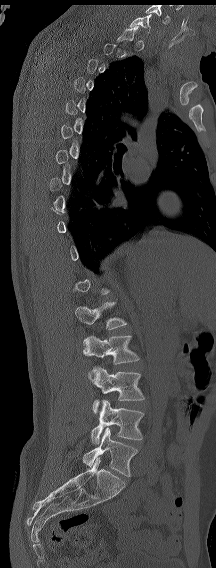
Computed tomography of the spine · sagittal view · Bone window (WL 400, WW 1800) · 216x568 px
Box edges are left/top/right/bottom in pixels.
A vertebra is boxed only from the first to the last slice where its cross-section is at least a third of its largest; slices outside that range leave it without a box.
In this scan, the topmost labeled vertebra is C7 and the lowest is L6.
In these labels the spine has an L6, a sixth lumbar vertebra below L5.
Vertebra bounding boxes:
- L6: left=83, top=427, right=137, bottom=476
- L5: left=91, top=400, right=144, bottom=444
- L4: left=89, top=366, right=144, bottom=413
- L3: left=83, top=335, right=139, bottom=364
- L2: left=75, top=302, right=127, bottom=330
- C7: left=129, top=14, right=151, bottom=33